Computed tomography of the spine — sagittal view
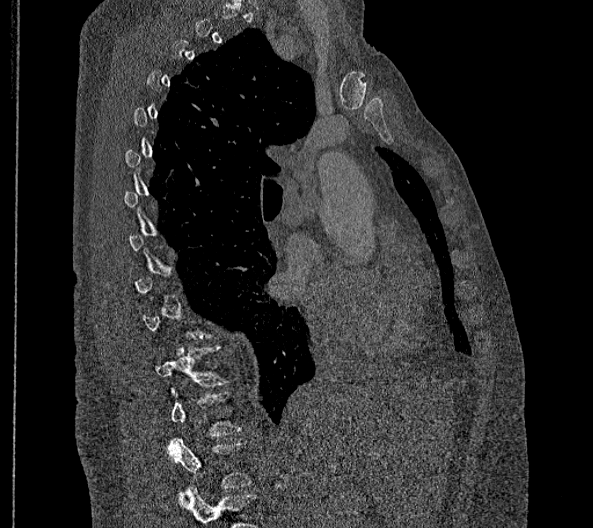 Boxes: x1 y1 x2 y2 (pixel coords, space-separated).
Each vertebra is boxed only on the slices from the first to the last where its cross-section reaches a third of its largest, so a slice outside that range leaves it unboxed.
Labels in this scan begin with T2 at the top and end with L2 at the bottom.
These labels give this spine no T12: after T11 the next vertebra is L1.
Vertebra bounding boxes:
- L2: 168 438 252 498
- L1: 171 391 242 436
- T11: 154 345 228 402